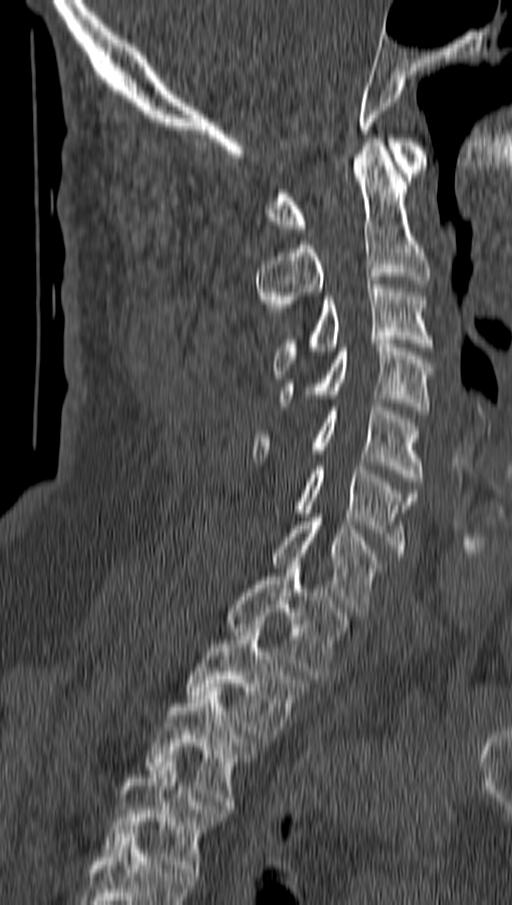

CT spine; sagittal reformat; Bone window (WL 400, WW 1800); 512x905 px; 162 mm wide

Box edges are left/top/right/bottom in pixels.
| vertebra | x1 | y1 | x2 | y2 |
|---|---|---|---|---|
| T4 | 102 | 759 | 221 | 876 |
| T3 | 146 | 687 | 256 | 809 |
| T2 | 184 | 620 | 307 | 742 |
| T1 | 225 | 561 | 348 | 679 |
| C7 | 273 | 518 | 379 | 611 |
| C6 | 295 | 462 | 417 | 556 |
| C5 | 253 | 403 | 420 | 485 |
| C4 | 279 | 340 | 433 | 414 |
| C3 | 274 | 280 | 433 | 374 |
| C2 | 257 | 138 | 430 | 315 |
| C1 | 267 | 138 | 426 | 232 |